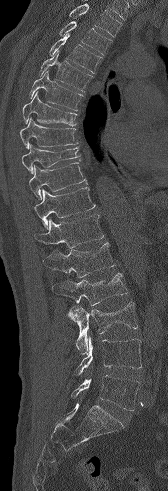

CT, spine · sagittal view · bone window · 168x491 px

Box edges are left/top/right/bottom in pixels.
No box is given to a vertebra that the top edge of the scan cuts off.
L5: left=71, top=375, right=139, bottom=410
L4: left=74, top=336, right=141, bottom=375
L3: left=67, top=302, right=137, bottom=354
L2: left=52, top=273, right=128, bottom=305
L1: left=43, top=242, right=115, bottom=277
T12: left=34, top=215, right=103, bottom=248
T11: left=34, top=187, right=95, bottom=229
T10: left=29, top=162, right=87, bottom=199
T9: left=21, top=144, right=80, bottom=173
T8: left=19, top=118, right=77, bottom=149
T7: left=22, top=91, right=77, bottom=125
T6: left=29, top=71, right=83, bottom=110
T5: left=39, top=51, right=92, bottom=91
T4: left=49, top=34, right=102, bottom=73
T3: left=59, top=21, right=112, bottom=55